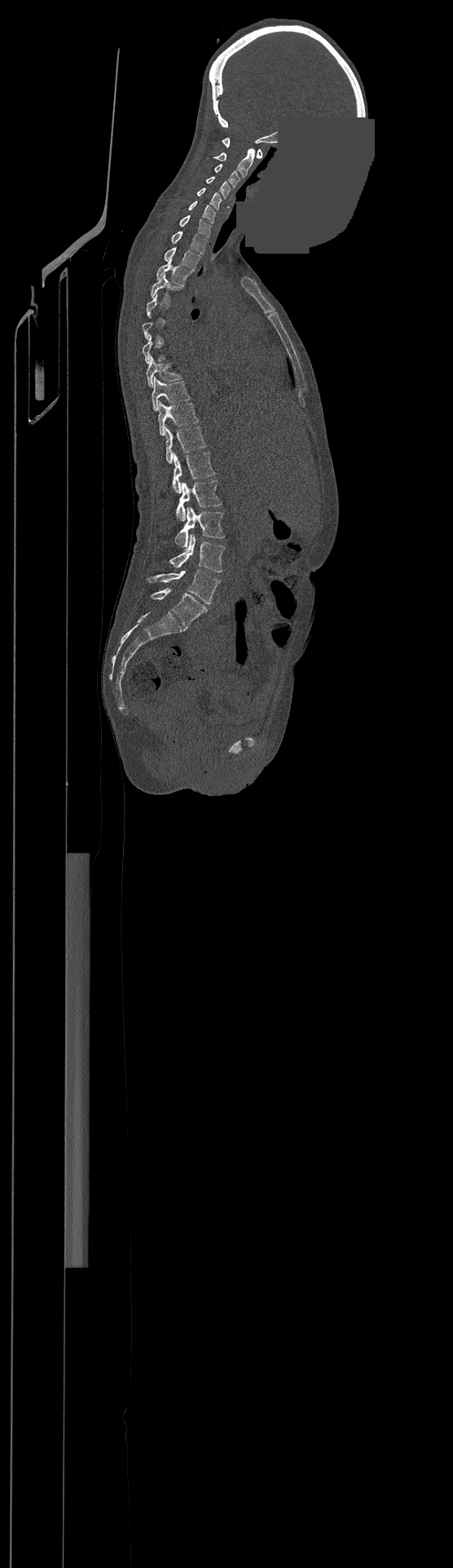
CT, spine. sagittal reformat. Bone window (WL 400, WW 1800). image width 500 mm. a region of this slice is masked with a uniform fill
Each vertebra maps to its box as [x1, y1, x2, y2], the pixel coordinates of its top-left and bottom-right corners.
Each vertebra is boxed only on the slices from the first to the last where its cross-section reaches a third of its largest, so a slice outside that range leaves it unboxed.
Labels in this scan begin with C1 at the top and end with L4 at the bottom.
{"vertebrae":{"L4":[147,570,219,603],"L3":[169,534,225,572],"L2":[175,507,225,547],"L1":[177,480,221,521],"T12":[173,452,215,492],"T11":[165,426,205,464],"T10":[158,402,198,435],"T9":[152,378,190,410],"T8":[146,356,182,386],"T4":[152,274,180,298],"T3":[156,258,191,286],"T2":[164,247,200,270],"T1":[172,231,206,254],"C7":[179,215,211,237],"C6":[188,201,215,223],"C5":[197,188,221,210],"C4":[206,176,230,198],"C3":[215,164,240,188],"C2":[214,148,255,178],"C1":[222,138,262,158]}}